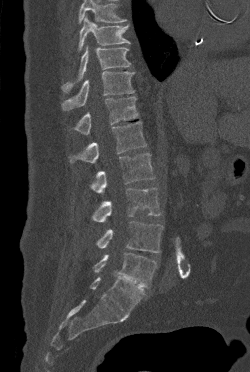 CT spine; sagittal reformat
Boxes: x1 y1 x2 y2 (pixel coords, space-separated).
Where the top of the scan cuts through a vertebra, that vertebra gets no label or box.
Vertebra bounding boxes:
- T9: 78 15 130 50
- T10: 62 46 131 92
- T11: 62 71 134 110
- T12: 72 96 138 134
- L1: 69 121 146 163
- L2: 90 153 154 193
- L3: 91 188 160 222
- L4: 96 221 163 252
- L5: 93 253 157 287